CT spine — sagittal reformat — Bone window (WL 400, WW 1800) — 350x440 px
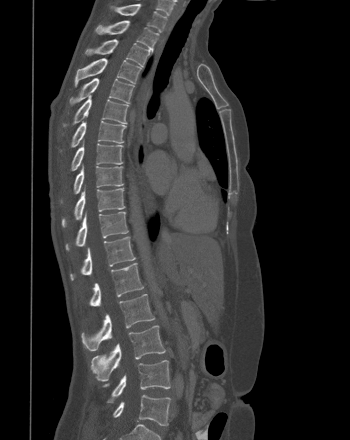 Boxes below are [x1, y1, x2, y2] in pixels.
{"vertebrae":{"T1":[116,4,166,31],"T2":[95,20,159,50],"T3":[85,39,150,65],"T4":[74,58,141,86],"T5":[69,78,134,104],"T6":[63,96,128,126],"T7":[71,121,126,147],"T8":[71,142,123,170],"T9":[73,166,123,193],"T10":[62,188,125,227],"T11":[65,211,128,250],"T12":[70,236,135,280],"L1":[89,263,143,306],"L2":[81,294,155,351],"L3":[91,325,165,381],"L4":[103,360,170,402],"L5":[113,395,170,426]}}